CT. Sagittal slice 287/512. 512x640 px
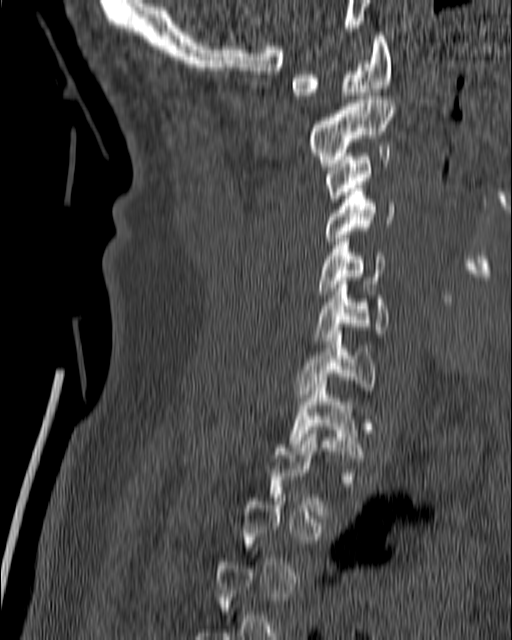
Box edges are left/top/right/bottom in pixels.
A vertebra is boxed only from the first to the last slice where its cross-section is at least a third of its largest; slices outside that range leave it without a box.
Vertebra bounding boxes:
- T1: left=288, top=377, right=364, bottom=461
- C7: left=297, top=331, right=375, bottom=401
- C6: left=314, top=281, right=390, bottom=340
- C5: left=317, top=238, right=384, bottom=298
- C4: left=314, top=185, right=395, bottom=244
- C3: left=325, top=146, right=390, bottom=202
- C2: left=308, top=96, right=396, bottom=166
- C1: left=290, top=32, right=392, bottom=99